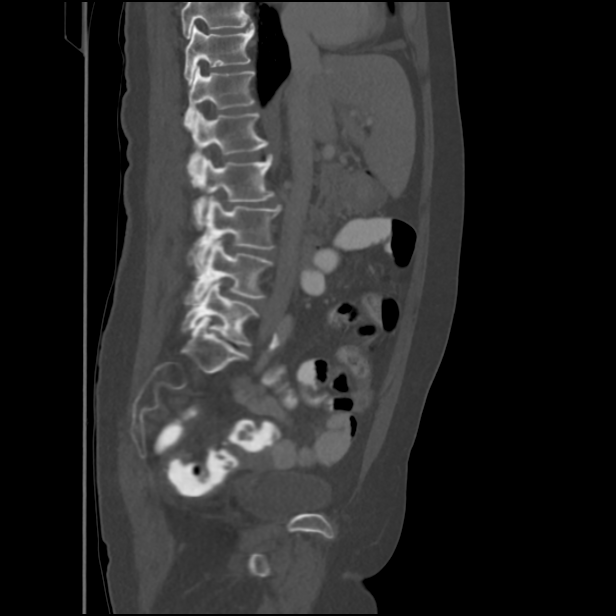 Spine CT · sagittal view · Bone window (WL 400, WW 1800)

Box values are [left, top, right, bottom] in pixels.
Vertebrae that run past the top of the scan are left unlabeled.
{"vertebrae":{"T11":[184,22,254,82],"T12":[184,66,255,128],"L1":[188,108,268,176],"L2":[194,154,275,227],"L3":[191,196,280,268],"L4":[185,241,272,305],"L5":[182,281,258,346]}}